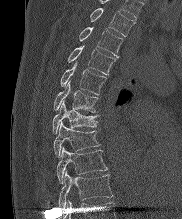
CT spine · sagittal view · bone window · 182x219 px
Boxes are (x1, y1, x2, y2) in pixels.
This scan's labels start at T2 at the top and end at T10 at the bottom.
T2: (90, 8, 134, 36)
T3: (79, 27, 123, 57)
T4: (67, 46, 115, 74)
T5: (60, 63, 106, 94)
T6: (53, 81, 99, 112)
T7: (52, 101, 98, 133)
T8: (53, 122, 100, 157)
T9: (56, 147, 108, 183)
T10: (58, 172, 112, 208)